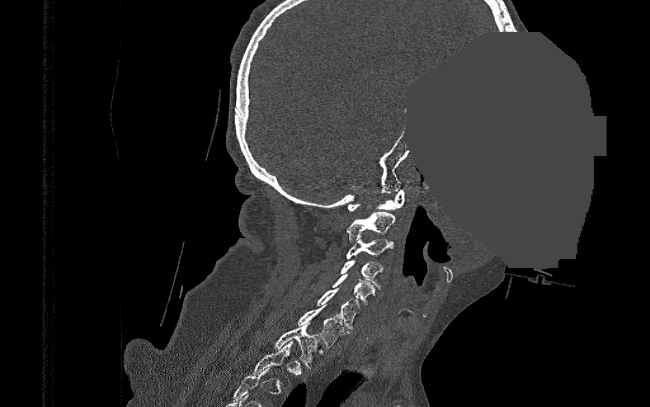

Spine CT; sagittal view; bone-window reconstruction; 650x407 px; some of the image was removed or blocked out with constant pixels
Bounding boxes as [x1, y1, x2, y2] in pixel coordinates.
A vertebra gets a box only on the slices from the first to the last where its cross-section is at least a third of its largest; on a slice outside that range it gets none.
Vertebra bounding boxes:
- C1: [348, 189, 405, 211]
- C2: [347, 212, 395, 241]
- C3: [347, 239, 394, 258]
- C4: [340, 260, 382, 289]
- C5: [333, 274, 376, 304]
- C6: [316, 288, 361, 328]
- C7: [297, 304, 347, 345]
- T1: [274, 322, 319, 368]